CT; sagittal view; Bone window (WL 400, WW 1800); 153 mm image width; 512x757 px; scan covers 11 annotated vertebrae
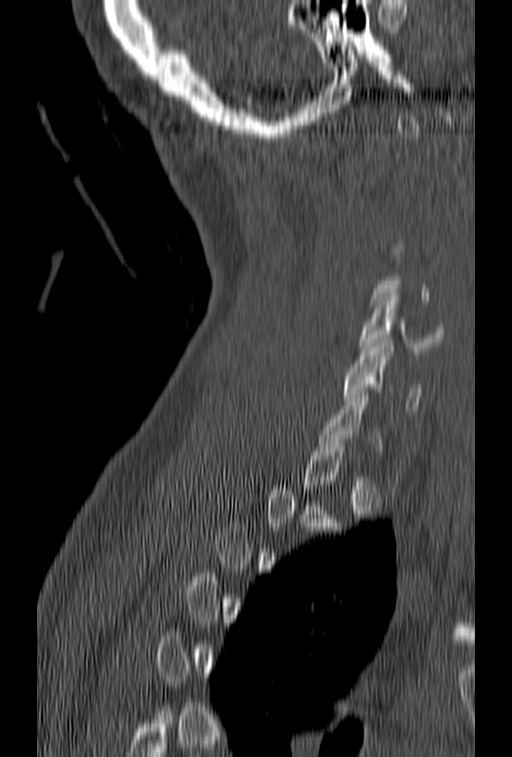
Coordinates as <box>x1,y1,x2,y2</box>. Not every vertebra on this slice has a box: a vertebra is boxed only from the first to the last slice where its cross-section is at least a third of its largest, and this slice is outside that range for at least one of them. The labeled vertebrae in this slice are: C6 at <box>343,339,422,413</box>, C5 at <box>359,293,444,355</box>.